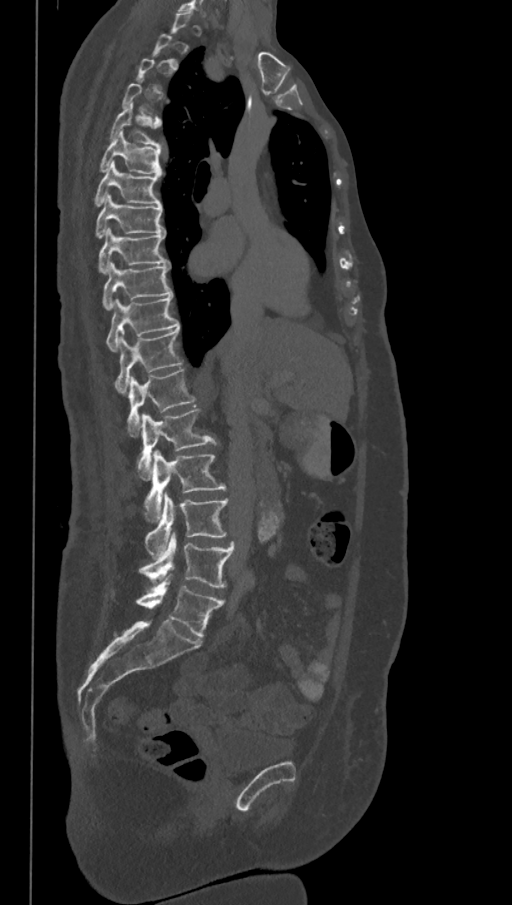
Spine CT · sagittal reformat · bone-window reconstruction · 512x905 px
Bounding boxes as [x1, y1, x2, y2] in pixel coordinates. Not every vertebra on this slice has a box: a vertebra is boxed only from the first to the last slice where its cross-section is at least a third of its largest, and this slice is outside that range for at least one of them. In these labels the spine has an L6, a sixth lumbar vertebra below L5. The labeled vertebrae in this slice are: T5 at [110, 103, 162, 147], T6 at [100, 130, 162, 176], T7 at [94, 162, 160, 206], T8 at [96, 194, 164, 238], T9 at [99, 228, 169, 273], T10 at [103, 262, 171, 310], T11 at [106, 296, 178, 352], T12 at [114, 328, 181, 393], L1 at [126, 368, 195, 436], L2 at [138, 408, 217, 479], L3 at [144, 451, 226, 522], L4 at [144, 492, 228, 557], L5 at [139, 532, 235, 588], L6 at [136, 575, 224, 638].